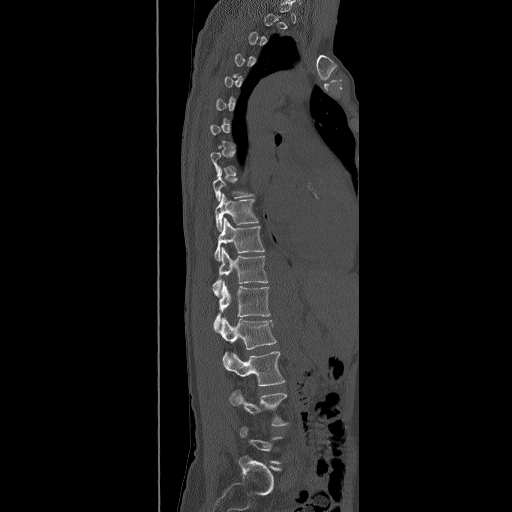 Spine computed tomography. 490 mm across the image. sagittal view

Each box given as x1,y1,x2,y2.
Each vertebra is boxed only on the slices from the first to the last where its cross-section reaches a third of its largest, so a slice outside that range leaves it unboxed.
Vertebra bounding boxes:
- T10: x1=215, y1=193, x2=258, y2=231
- T11: x1=213, y1=218, x2=265, y2=261
- T12: x1=212, y1=247, x2=268, y2=297
- L1: x1=213, y1=281, x2=270, y2=332
- L2: x1=219, y1=317, x2=276, y2=350
- L3: x1=223, y1=351, x2=286, y2=386
- L4: x1=229, y1=390, x2=289, y2=426